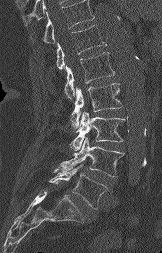 Spine computed tomography. sagittal reformat. W/L 1800/400 HU. 162x253 px

Boxes are (x1, y1, x2, y2) in pixels.
No box is given to a vertebra that the top edge of the scan cuts off.
Vertebra bounding boxes:
- L5: (49, 164, 107, 209)
- L4: (60, 137, 124, 176)
- L3: (70, 111, 124, 150)
- L2: (70, 83, 122, 128)
- L1: (64, 52, 114, 99)
- T12: (56, 25, 106, 69)